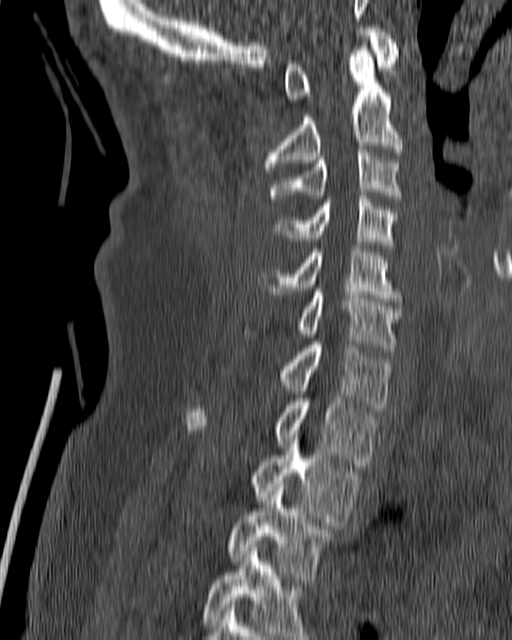

Spine CT; sagittal view. Boxes: x1:y1:x2:y2 in pixels.
Vertebra bounding boxes:
- C1: 284:25:398:102
- C2: 263:46:401:173
- C3: 269:149:401:202
- C4: 274:192:398:248
- C5: 258:245:402:301
- C6: 243:288:401:347
- C7: 280:341:390:411
- T1: 186:391:378:465
- T2: 251:430:358:525
- T3: 228:484:333:575
- T4: 203:544:313:639